Spine computed tomography. 368 mm across the image. sagittal view. 16 vertebrae labeled in this scan
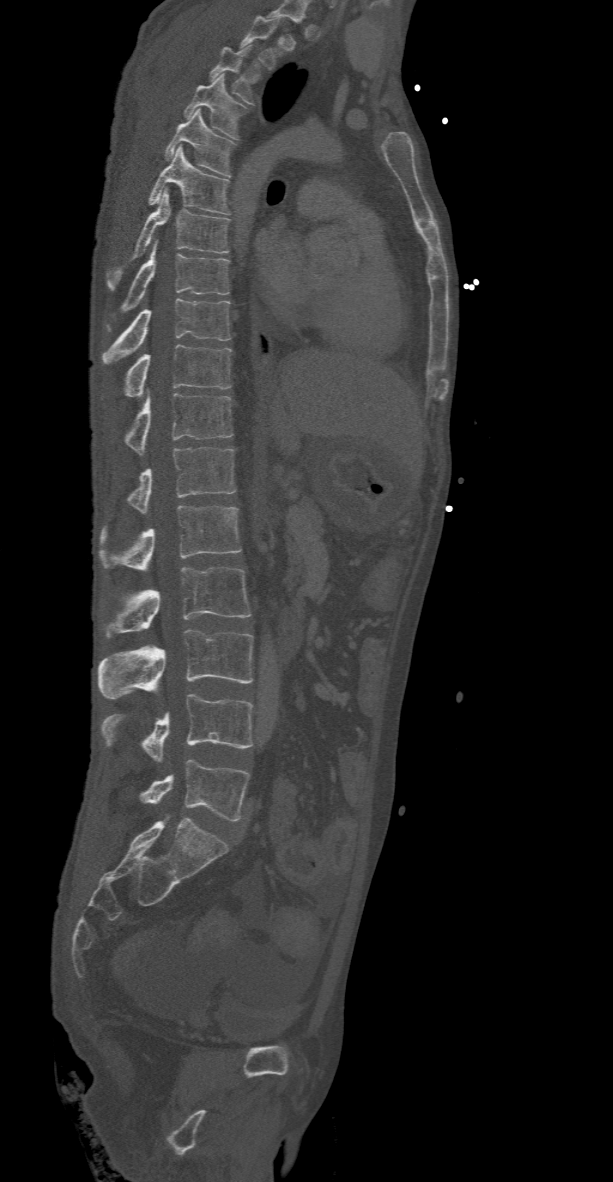

Each box given as x1,y1,x2,y2.
Vertebra bounding boxes:
- T2: x1=242, y1=14, x2=283, y2=68
- T3: x1=210, y1=46, x2=252, y2=104
- T4: x1=184, y1=74, x2=247, y2=138
- T5: x1=165, y1=108, x2=234, y2=176
- T6: x1=149, y1=146, x2=229, y2=213
- T7: x1=108, y1=189, x2=229, y2=288
- T8: x1=121, y1=239, x2=229, y2=311
- T9: x1=102, y1=299, x2=230, y2=365
- T10: x1=102, y1=344, x2=230, y2=400
- T11: x1=123, y1=394, x2=233, y2=453
- T12: x1=125, y1=447, x2=235, y2=513
- L1: x1=98, y1=506, x2=241, y2=570
- L2: x1=105, y1=567, x2=251, y2=638
- L3: x1=98, y1=629, x2=252, y2=698
- L4: x1=103, y1=694, x2=252, y2=763
- L5: x1=140, y1=759, x2=248, y2=821